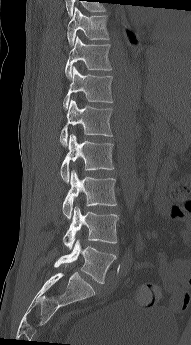

CT. sagittal view

Each box is [x1, y1, x2, y2] in pixels: top-left corner, then bottom-right corner.
{"vertebrae":{"T10":[67,6,109,46],"T11":[64,36,112,81],"T12":[63,66,113,109],"L1":[59,100,113,146],"L2":[60,134,114,183],"L3":[62,170,117,219],"L4":[62,206,119,249],"L5":[54,239,116,283]}}